CT spine · Sagittal slice 74/197 · Bone window (WL 400, WW 1800) · 197x180 px · an area of the scan was removed and filled with constant pixels
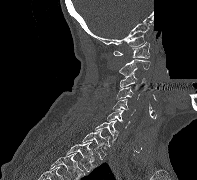

Each box is [x1, y1, x2, y2] in pixels: top-left corner, then bottom-right corner.
{"vertebrae":{"C1":[113,42,149,58],"C2":[118,59,150,76],"C3":[120,72,146,89],"C4":[116,86,139,99],"C5":[113,99,135,115],"C6":[107,110,130,128],"C7":[95,120,118,144],"T1":[82,129,109,159],"T2":[66,142,97,172]}}